Spine CT · sagittal plane, index 184 · bone-window reconstruction · image width 160 mm · scan covers 10 annotated vertebrae
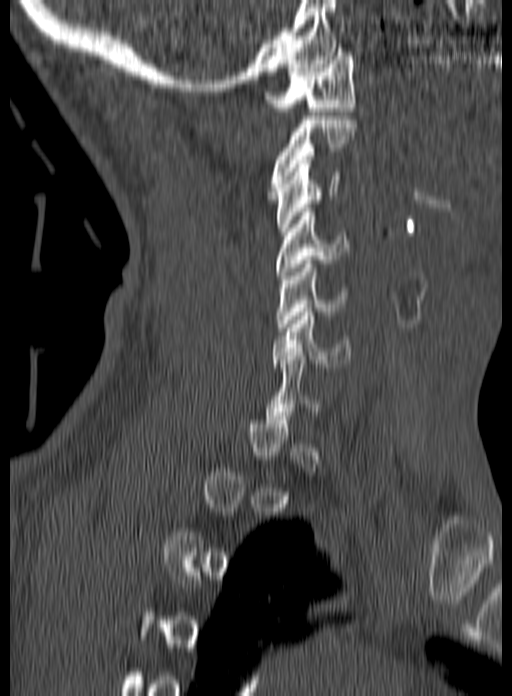
Columns x1, y1, x2, y2 give each box's top-left and bottom-right pixels.
Each vertebra is boxed only on the slices from the first to the last where its cross-section reaches a third of its largest, so a slice outside that range leaves it unboxed.
| vertebra | x1 | y1 | x2 | y2 |
|---|---|---|---|---|
| C1 | 265 | 48 | 355 | 111 |
| C2 | 268 | 116 | 356 | 195 |
| C3 | 276 | 160 | 339 | 231 |
| C4 | 276 | 208 | 350 | 279 |
| C5 | 276 | 260 | 347 | 331 |
| C6 | 272 | 308 | 351 | 367 |